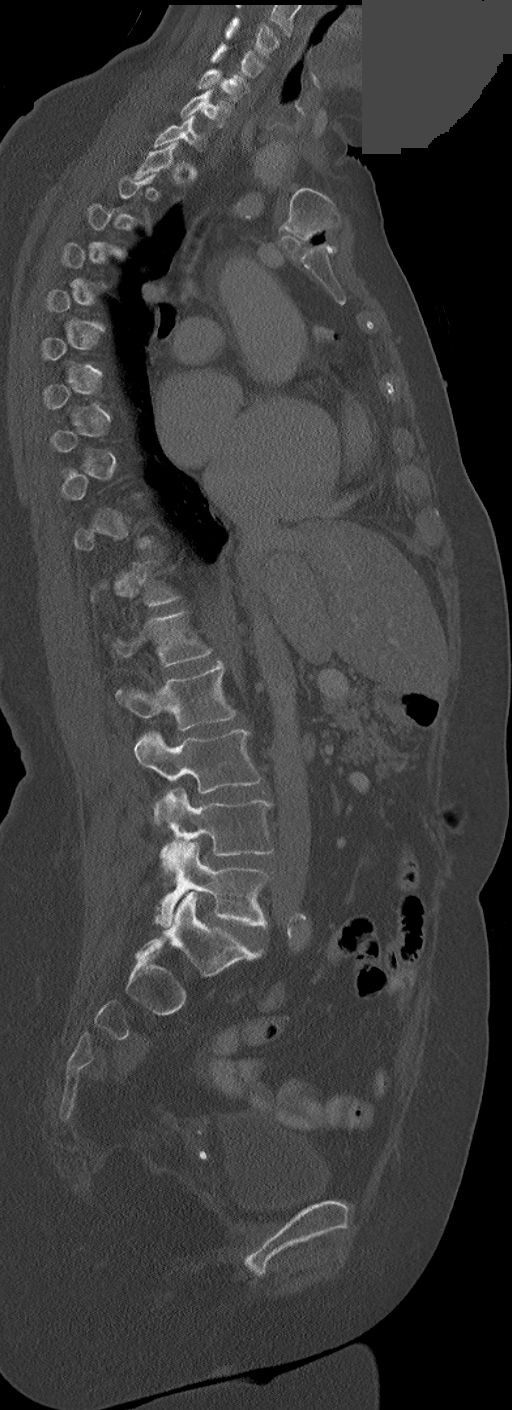
Spine computed tomography · sagittal reformat · Bone window (WL 400, WW 1800) · the image is 252 mm wide · 512x1410 px · a portion of the image is blanked out (constant pixel value)
Each box is [x1, y1, x2, y2] in pixels: top-left corner, then bottom-right corner.
A vertebra gets a box only on the slices from the first to the last where its cross-section is at least a third of its largest; on a slice outside that range it gets none.
{"vertebrae":{"L5":[155,842,270,926],"L4":[159,789,274,875],"L3":[135,730,262,822],"L2":[116,661,235,731],"L1":[112,612,211,666],"C7":[154,115,205,148],"C6":[180,89,230,128],"C5":[198,68,245,101],"C4":[212,43,264,77],"C3":[224,17,278,56]}}